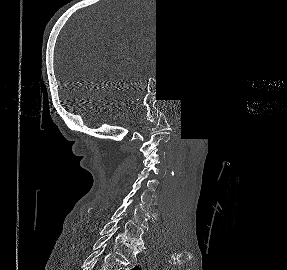

CT. sagittal view. Bone window (WL 400, WW 1800). part of the image has been replaced by a constant value
Each box given as x1,y1,x2,y2.
| vertebra | x1 | y1 | x2 | y2 |
|---|---|---|---|---|
| C1 | 129 | 111 | 172 | 140 |
| C2 | 140 | 132 | 170 | 156 |
| C3 | 143 | 149 | 165 | 166 |
| C4 | 138 | 165 | 166 | 176 |
| C5 | 132 | 175 | 159 | 196 |
| C6 | 123 | 185 | 157 | 217 |
| C7 | 87 | 199 | 153 | 228 |
| T1 | 99 | 213 | 145 | 248 |
| T2 | 93 | 226 | 141 | 264 |